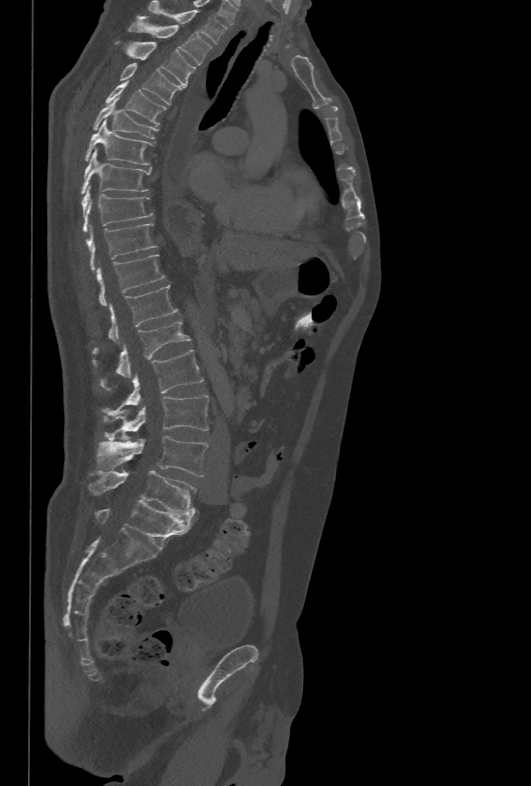 CT; sagittal reformat; 531x786 px
Each vertebra maps to its box as [x1, y1, x2, y2], the pixel coordinates of its top-left and bottom-right corners.
{"vertebrae":{"T1":[147,0,225,43],"T2":[128,20,212,64],"T3":[115,40,196,86],"T4":[119,63,184,104],"T5":[105,82,166,124],"T6":[93,98,158,138],"T7":[84,119,153,164],"T8":[80,149,151,194],"T9":[82,186,154,233],"T10":[87,223,157,272],"T11":[96,254,166,306],"T12":[108,285,177,343],"L1":[92,320,190,388],"L2":[104,349,203,414],"L3":[104,395,209,439],"L4":[98,436,208,476],"L5":[88,470,196,515]}}